Spine computed tomography; Sagittal slice 236/512; 523x792 px; scan covers 18 annotated vertebrae; the image spans 471 mm across
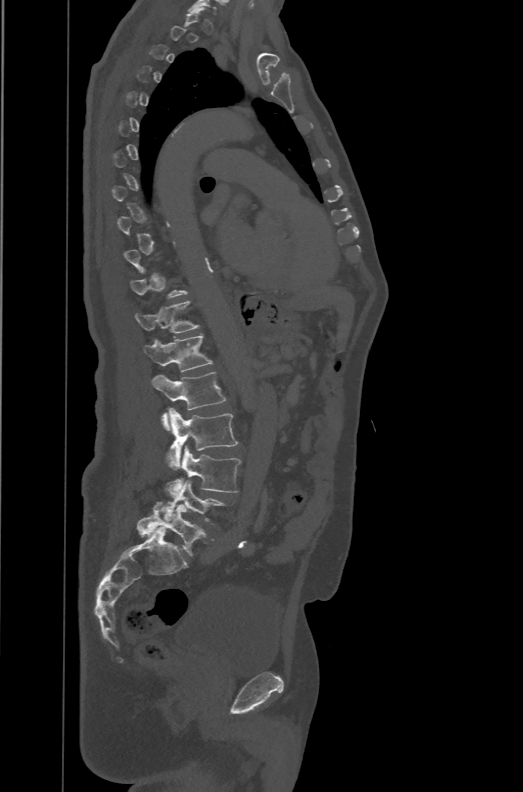
Bounding boxes as [x1, y1, x2, y2] in pixel coordinates.
Each vertebra is boxed only on the slices from the first to the last where its cross-section reaches a third of its largest, so a slice outside that range leaves it unboxed.
These labels give the spine a sixth lumbar vertebra, L6, below L5.
Vertebra bounding boxes:
- T12: [134, 301, 199, 333]
- L1: [143, 334, 213, 372]
- L2: [151, 372, 226, 430]
- L3: [167, 408, 238, 469]
- L4: [166, 445, 240, 497]
- L5: [160, 480, 227, 524]
- L6: [137, 502, 214, 555]